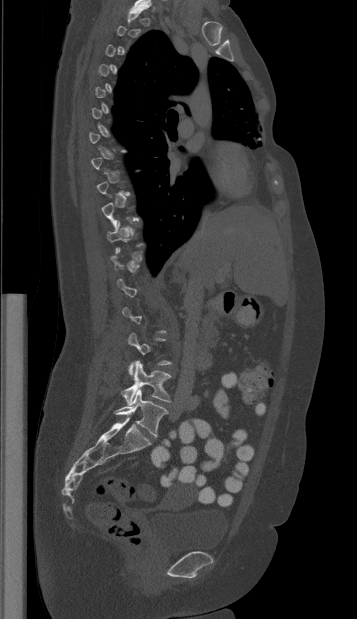
CT, spine · sagittal view · 357 mm across the image
Box values are [left, top, right, bottom] in pixels.
Each vertebra is boxed only on the slices from the first to the last where its cross-section reaches a third of its largest, so a slice outside that range leaves it unboxed.
{"vertebrae":{"L4":[121,360,171,404],"L5":[114,389,168,436]}}